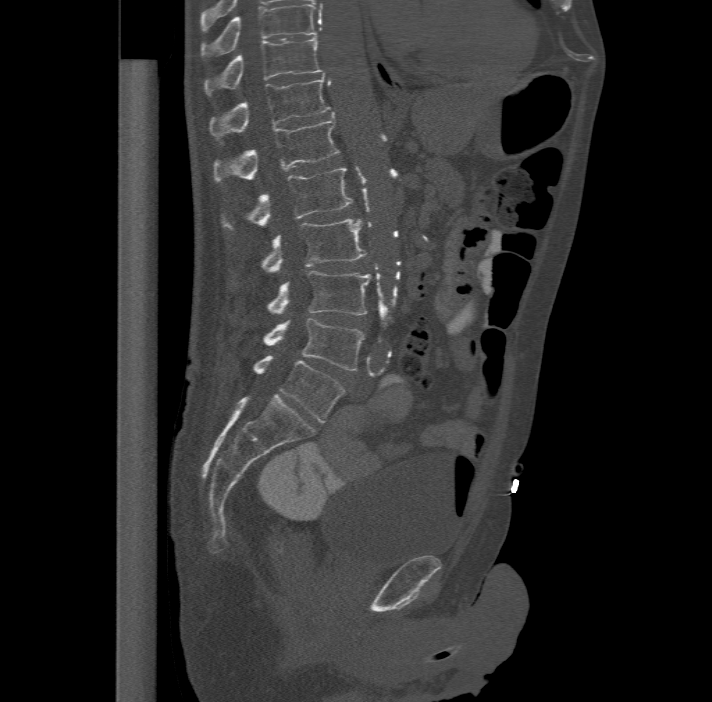
CT, spine · sagittal reformat · 712x702 px. Columns x1, y1, x2, y2 give each box's top-left and bottom-right pixels.
In this scan, the topmost labeled vertebra is T11 and the lowest is L6.
The labels name a sixth lumbar vertebra for this spine: L6, after L5.
| vertebra | x1 | y1 | x2 | y2 |
|---|---|---|---|---|
| L6 | 253 | 356 | 345 | 422 |
| L5 | 263 | 318 | 363 | 370 |
| L4 | 267 | 270 | 370 | 314 |
| L3 | 261 | 218 | 366 | 270 |
| L2 | 222 | 167 | 352 | 229 |
| L1 | 213 | 116 | 340 | 181 |
| T12 | 209 | 74 | 330 | 138 |
| T11 | 204 | 37 | 323 | 94 |